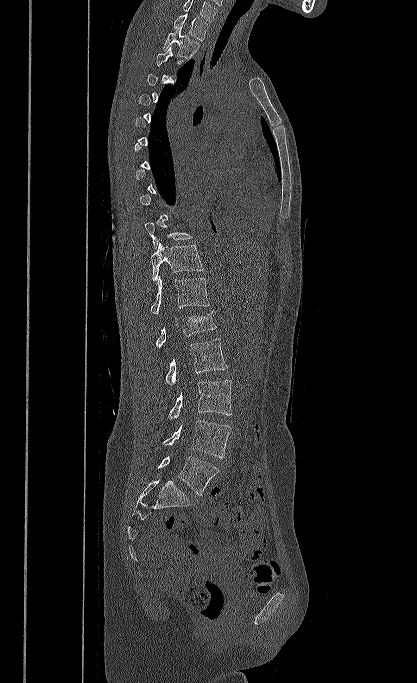 Computed tomography of the spine. sagittal view. Box edges are left/top/right/bottom in pixels.
A vertebra gets a box only on the slices from the first to the last where its cross-section is at least a third of its largest; on a slice outside that range it gets none.
The highest labeled vertebra in this scan is T1; the lowest is L5.
| vertebra | x1 | y1 | x2 | y2 |
|---|---|---|---|---|
| L5 | 157 | 456 | 218 | 495 |
| L4 | 163 | 420 | 230 | 457 |
| L3 | 168 | 380 | 232 | 419 |
| L2 | 165 | 338 | 227 | 385 |
| L1 | 155 | 311 | 216 | 347 |
| T12 | 150 | 276 | 209 | 314 |
| T11 | 151 | 241 | 203 | 281 |
| T10 | 144 | 222 | 193 | 249 |
| T2 | 163 | 26 | 199 | 59 |
| T1 | 173 | 13 | 209 | 41 |